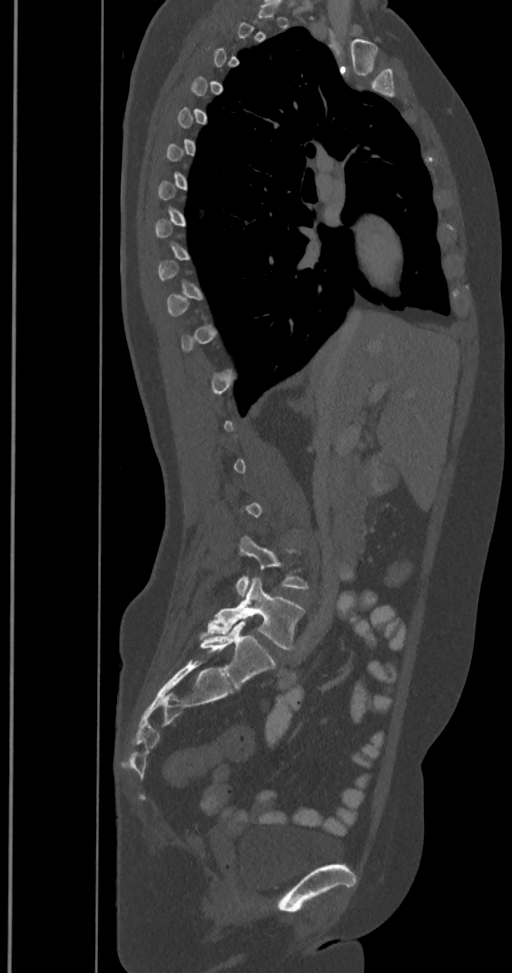 Spine CT · sagittal view · image width 350 mm
Boxes below are [x1, y1, x2, y2] in pixels.
Each vertebra is boxed only on the slices from the first to the last where its cross-section reaches a third of its largest, so a slice outside that range leaves it unboxed.
In these labels the spine has an L6, a sixth lumbar vertebra below L5.
{"vertebrae":{"L4":[235,536,309,594],"L5":[201,577,305,649],"L6":[200,621,275,686]}}